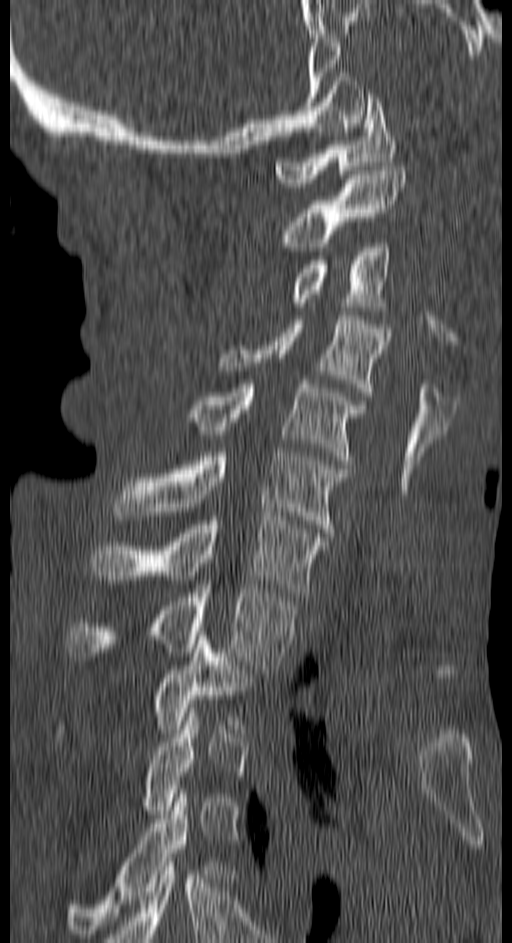 Spine CT; sagittal view. Each box given as x1,y1,x2,y2.
A vertebra gets a box only on the slices from the first to the last where its cross-section is at least a third of its largest; on a slice outside that range it gets none.
Vertebra bounding boxes:
- C1: x1=274, y1=94, x2=396, y2=187
- C2: x1=281, y1=166, x2=406, y2=251
- C3: x1=291, y1=243, x2=389, y2=310
- C4: x1=218, y1=316, x2=390, y2=396
- C5: x1=186, y1=380, x2=365, y2=464
- C6: x1=114, y1=452, x2=348, y2=537
- C7: x1=90, y1=516, x2=328, y2=596
- T1: x1=66, y1=585, x2=294, y2=673
- T2: x1=56, y1=636, x2=257, y2=741
- T4: x1=65, y1=789, x2=222, y2=938